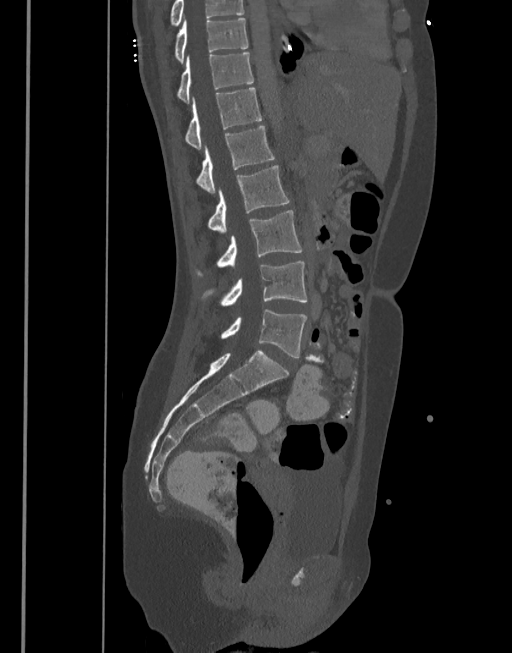 Spine CT. sagittal view

Box values are [left, top, right, bottom] in pixels.
Labels in this scan begin with T10 at the top and end with L5 at the bottom.
{"vertebrae":{"T10":[175,18,247,63],"T11":[178,53,253,102],"T12":[186,88,261,149],"L1":[197,126,275,192],"L2":[208,165,289,232],"L3":[198,210,302,275],"L4":[201,262,307,307],"L5":[221,309,307,357]}}